CT, spine. sagittal plane, index 156. bone-window reconstruction
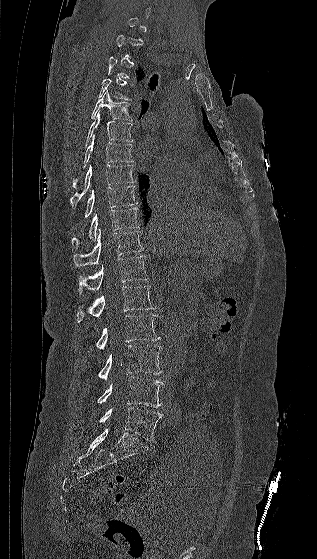

Each row gives a vertebra's box as x1, y1, x2, y2 in pixels: top-left corner, then bottom-right corner.
Each vertebra is boxed only on the slices from the first to the last where its cross-section reaches a third of its largest, so a slice outside that range leaves it unboxed.
| vertebra | x1 | y1 | x2 | y2 |
|---|---|---|---|---|
| L5 | 99 | 407 | 162 | 440 |
| L4 | 97 | 376 | 164 | 407 |
| L3 | 97 | 345 | 162 | 379 |
| L2 | 95 | 314 | 160 | 350 |
| L1 | 77 | 285 | 155 | 322 |
| T12 | 78 | 255 | 149 | 294 |
| T11 | 73 | 229 | 143 | 267 |
| T10 | 72 | 208 | 139 | 247 |
| T9 | 84 | 185 | 138 | 217 |
| T8 | 70 | 164 | 136 | 206 |
| T7 | 73 | 134 | 133 | 189 |
| T6 | 85 | 111 | 133 | 145 |
| T5 | 91 | 90 | 132 | 121 |
| T4 | 98 | 78 | 131 | 100 |